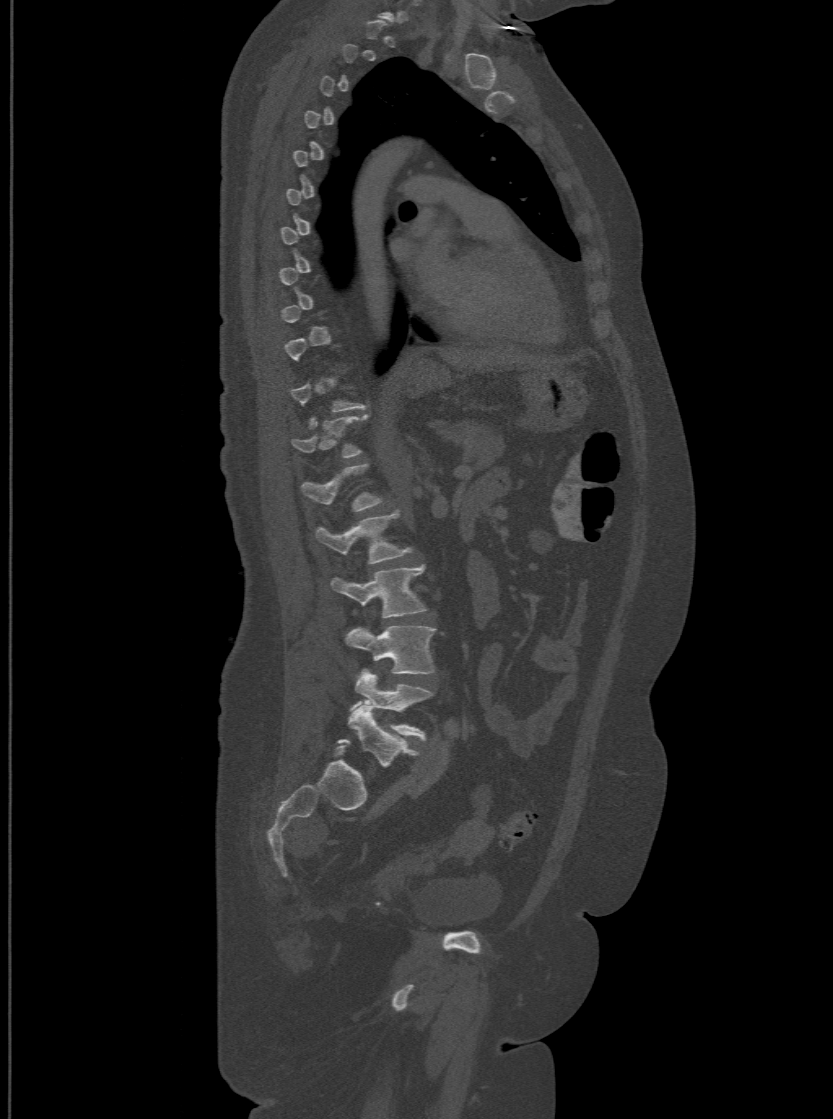

CT. sagittal view. Bone window (WL 400, WW 1800). 500 mm image width. Columns x1, y1, x2, y2 give each box's top-left and bottom-right pixels.
A vertebra gets a box only on the slices from the first to the last where its cross-section is at least a third of its largest; on a slice outside that range it gets none.
In these labels the spine has an L6, a sixth lumbar vertebra below L5.
| vertebra | x1 | y1 | x2 | y2 |
|---|---|---|---|---|
| T12 | 291 | 415 | 367 | 456 |
| L1 | 301 | 463 | 380 | 509 |
| L2 | 316 | 512 | 411 | 563 |
| L3 | 332 | 566 | 425 | 617 |
| L4 | 345 | 626 | 435 | 673 |
| L5 | 350 | 669 | 432 | 738 |
| L6 | 348 | 704 | 417 | 767 |